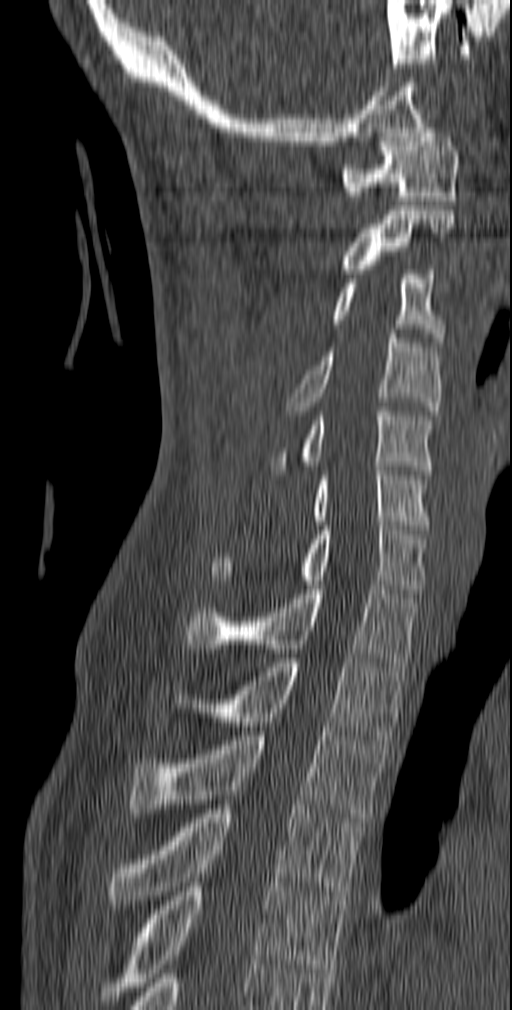

CT · sagittal view · bone window · 512x1010 px
<vertebrae><v name="C1" x1="341" y1="128" x2="459" y2="205"/><v name="C2" x1="338" y1="210" x2="455" y2="273"/><v name="C3" x1="330" y1="270" x2="447" y2="346"/><v name="C4" x1="285" y1="334" x2="441" y2="415"/><v name="C5" x1="269" y1="407" x2="432" y2="474"/><v name="C6" x1="311" y1="466" x2="430" y2="529"/><v name="C7" x1="210" y1="521" x2="427" y2="593"/><v name="T1" x1="184" y1="585" x2="419" y2="666"/><v name="T2" x1="169" y1="658" x2="407" y2="740"/><v name="T3" x1="129" y1="731" x2="387" y2="822"/><v name="T4" x1="110" y1="805" x2="362" y2="904"/><v name="T5" x1="99" y1="882" x2="348" y2="1005"/></vertebrae>